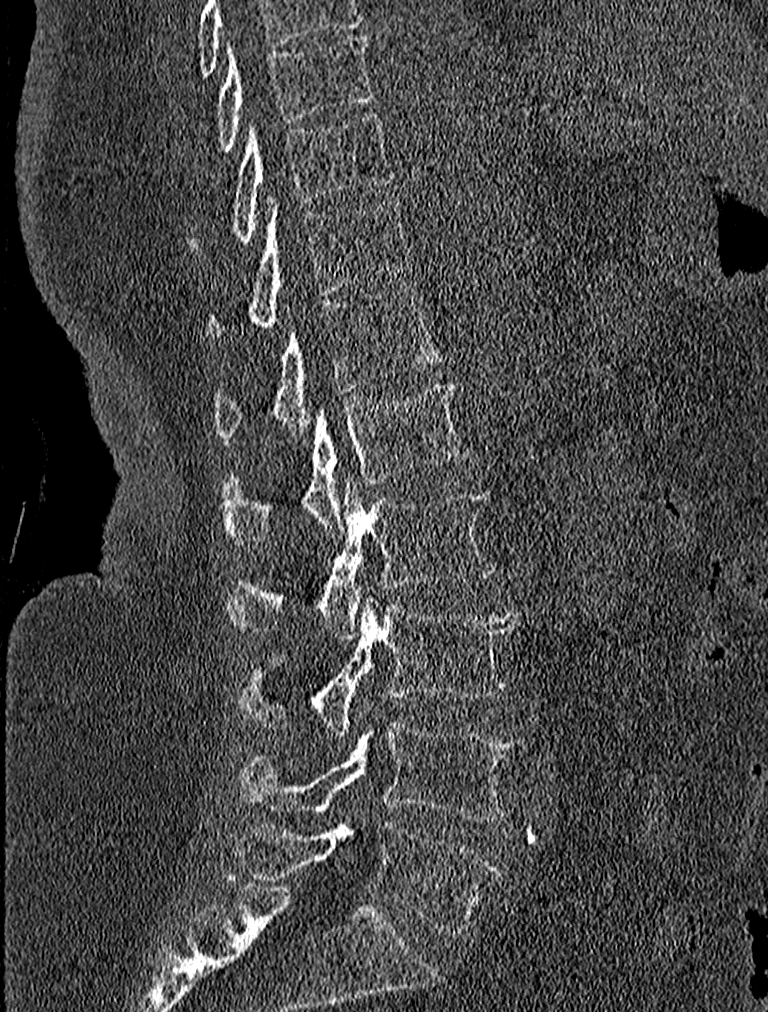

CT; sagittal view; W/L 1800/400 HU; 768x1012 px. Each row gives a vertebra's box as x1, y1, x2, y2 in pixels: top-left corner, then bottom-right corner.
| vertebra | x1 | y1 | x2 | y2 |
|---|---|---|---|---|
| L5 | 236 | 821 | 502 | 935 |
| L4 | 239 | 722 | 522 | 820 |
| L3 | 239 | 597 | 519 | 734 |
| L2 | 225 | 477 | 495 | 637 |
| L1 | 222 | 382 | 468 | 543 |
| T12 | 215 | 288 | 444 | 442 |
| T11 | 205 | 196 | 411 | 342 |
| T10 | 188 | 111 | 397 | 256 |
| T9 | 215 | 33 | 373 | 151 |